Spine CT. sagittal view. 617x640 px
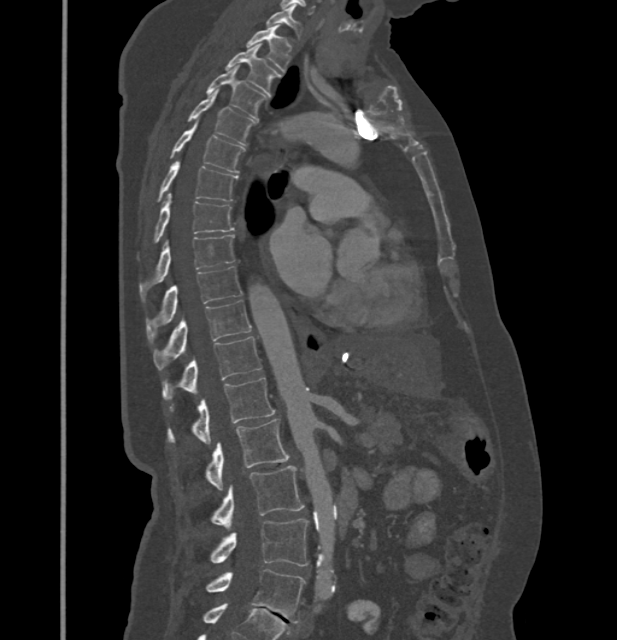

Boxes are given in columns x1, y1, x2, y2, the pixel coordinates of their top-left and bottom-right corners.
In these labels the thoracic vertebrae end at T11, so L1 follows T11.
| vertebra | x1 | y1 | x2 | y2 |
|---|---|---|---|---|
| C7 | 268 | 7 | 300 | 34 |
| T1 | 247 | 25 | 291 | 71 |
| T2 | 225 | 45 | 280 | 92 |
| T3 | 207 | 66 | 267 | 118 |
| T4 | 188 | 92 | 255 | 145 |
| T5 | 171 | 122 | 244 | 172 |
| T6 | 158 | 159 | 236 | 201 |
| T7 | 154 | 193 | 233 | 241 |
| T8 | 140 | 235 | 234 | 299 |
| T9 | 146 | 267 | 241 | 339 |
| T10 | 154 | 300 | 250 | 369 |
| T11 | 163 | 336 | 262 | 399 |
| L1 | 169 | 377 | 275 | 444 |
| L2 | 207 | 419 | 288 | 491 |
| L3 | 212 | 466 | 303 | 529 |
| L4 | 211 | 519 | 308 | 566 |
| L5 | 207 | 569 | 305 | 622 |